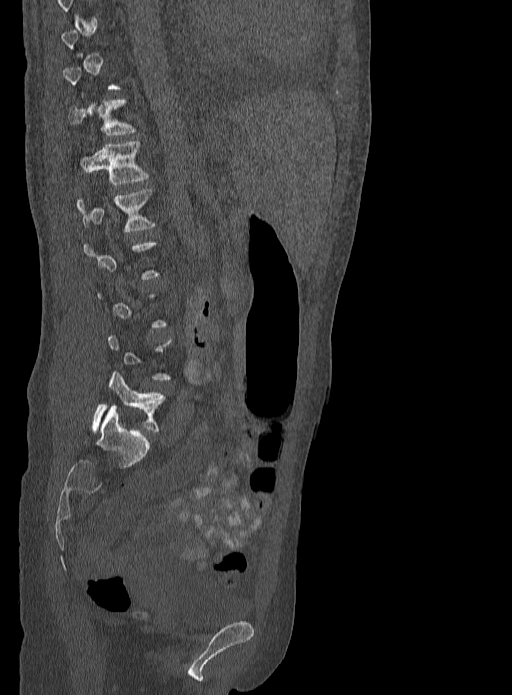

Spine CT. sagittal reformat. image 333 mm wide
Each row gives a vertebra's box as x1, y1, x2, y2 in pixels: top-left corner, then bottom-right corner.
A vertebra is boxed only from the first to the last slice where its cross-section is at least a third of its largest; slices outside that range leave it without a box.
| vertebra | x1 | y1 | x2 | y2 |
|---|---|---|---|---|
| L5 | 92 | 371 | 166 | 433 |
| L1 | 77 | 189 | 157 | 233 |
| T12 | 77 | 141 | 149 | 185 |
| T11 | 69 | 98 | 137 | 136 |